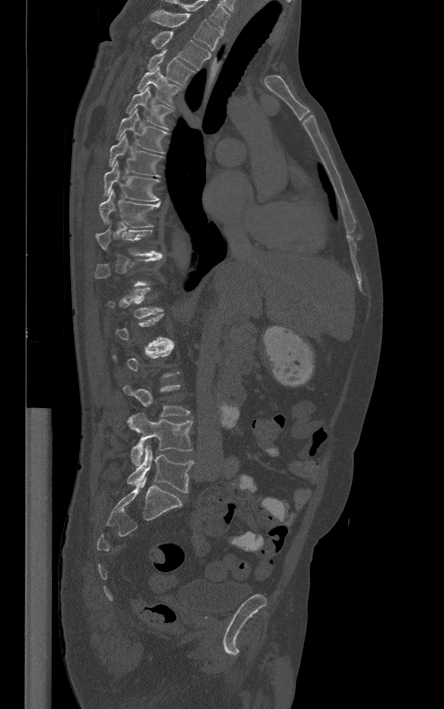

Spine CT. sagittal view

Not every vertebra on this slice has a box: a vertebra is boxed only from the first to the last slice where its cross-section is at least a third of its largest, and this slice is outside that range for at least one of them.
The highest labeled vertebra in this scan is T1; the lowest is L5.
<vertebrae><v name="L5" x1="127" y1="445" x2="193" y2="492"/><v name="L4" x1="127" y1="413" x2="192" y2="465"/><v name="T10" x1="96" y1="229" x2="161" y2="256"/><v name="T9" x1="99" y1="190" x2="159" y2="228"/><v name="T8" x1="104" y1="161" x2="158" y2="201"/><v name="T7" x1="109" y1="133" x2="162" y2="175"/><v name="T6" x1="116" y1="109" x2="167" y2="154"/><v name="T5" x1="125" y1="86" x2="173" y2="130"/><v name="T4" x1="138" y1="66" x2="180" y2="107"/><v name="T3" x1="148" y1="49" x2="194" y2="85"/><v name="T2" x1="151" y1="31" x2="210" y2="68"/><v name="T1" x1="150" y1="10" x2="219" y2="50"/></vertebrae>